Computed tomography of the spine · Sagittal slice 354/512 · bone-window reconstruction · 512x1010 px · image 140 mm wide · 12 vertebrae labeled in this scan
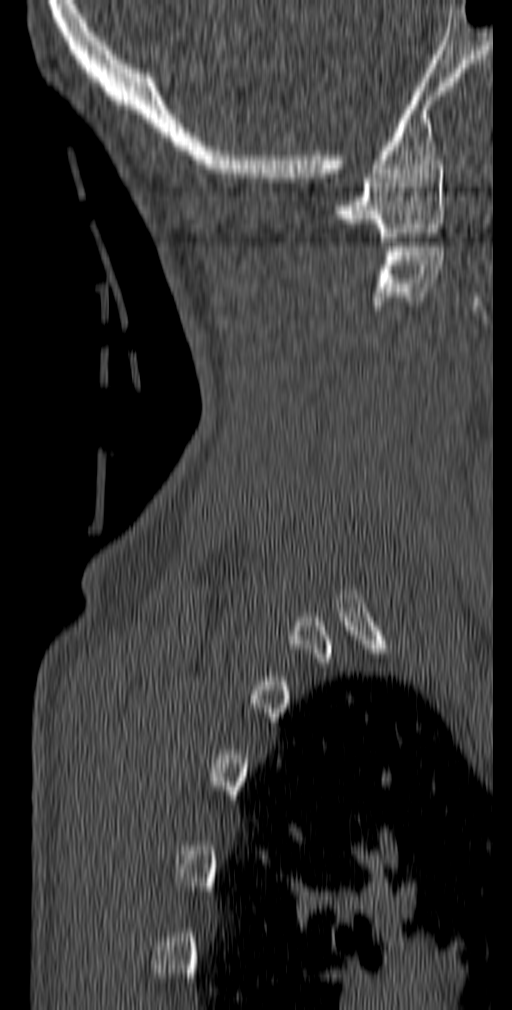
Boxes are (x1, y1, x2, y2) in pixels. The labeled vertebrae in this slice are: C1 at (334, 165, 444, 241), C2 at (374, 242, 444, 305).